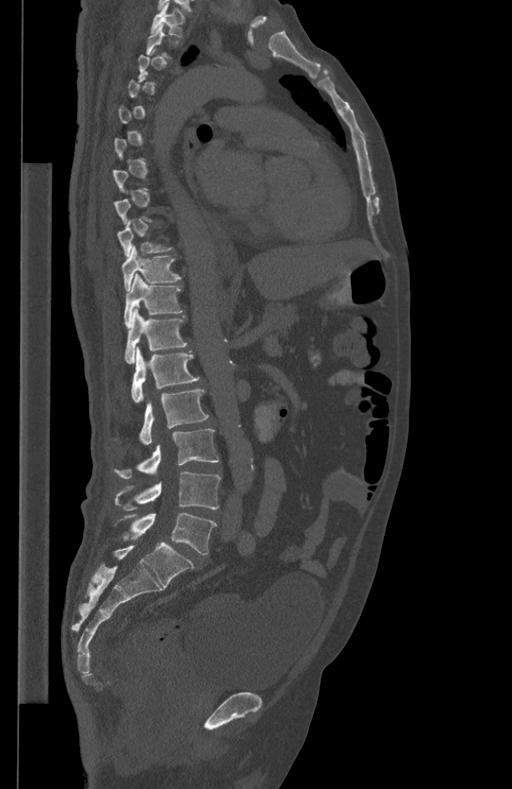

Computed tomography of the spine — sagittal view — W/L 1800/400 HU — 512x789 px

A vertebra gets a box only on the slices from the first to the last where its cross-section is at least a third of its largest; on a slice outside that range it gets none.
<vertebrae><v name="L5" x1="116" y1="513" x2="216" y2="554"/><v name="L4" x1="114" y1="471" x2="221" y2="510"/><v name="L3" x1="113" y1="429" x2="218" y2="479"/><v name="L2" x1="138" y1="389" x2="209" y2="445"/><v name="L1" x1="131" y1="346" x2="199" y2="402"/><v name="T12" x1="125" y1="309" x2="188" y2="363"/><v name="T11" x1="124" y1="273" x2="183" y2="328"/><v name="T10" x1="121" y1="245" x2="182" y2="290"/><v name="T9" x1="118" y1="222" x2="174" y2="257"/><v name="T1" x1="151" y1="3" x2="184" y2="36"/></vertebrae>